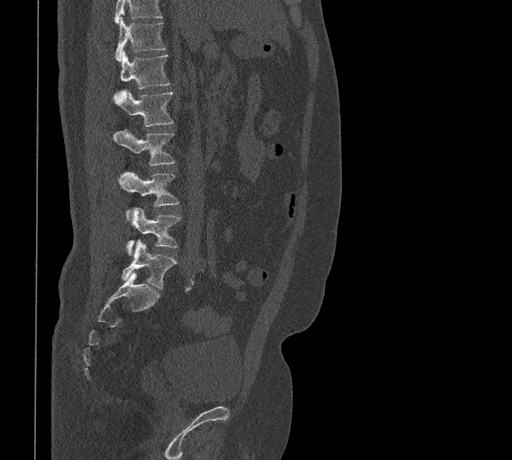

CT, spine — sagittal view — the image is 461 mm wide

Each vertebra maps to its box as [x1, y1, x2, y2], the pixel coordinates of its top-left and bottom-right corners.
A vertebra cut off by the top edge of the scan is not labeled and has no box.
{"vertebrae":{"T11":[114,17,165,61],"T12":[116,51,170,94],"L1":[113,90,173,127],"L2":[113,130,174,166],"L3":[119,172,179,206],"L4":[127,208,180,255],"L5":[121,240,176,288]}}